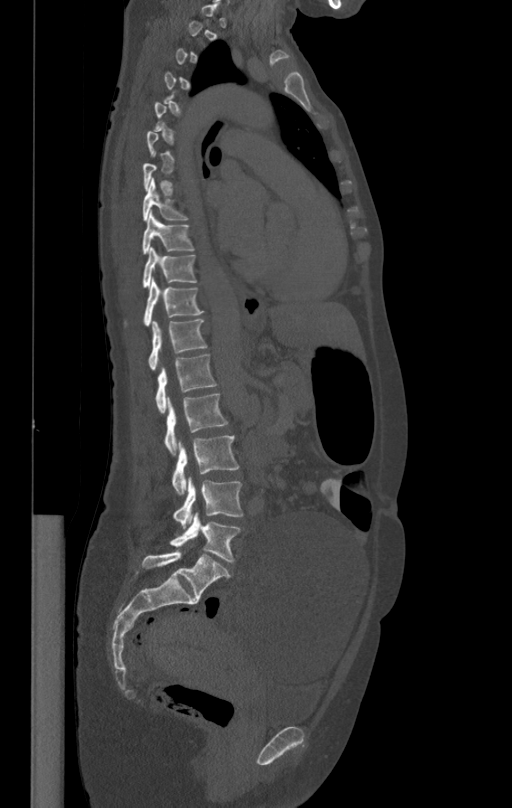
CT · sagittal view · 512x808 px
Boxes below are [x1, y1, x2, y2] in pixels.
Not every vertebra on this slice has a box: a vertebra is boxed only from the first to the last slice where its cross-section is at least a third of its largest, and this slice is outside that range for at least one of them.
{"vertebrae":{"T8":[143,181,188,220],"T9":[143,213,194,253],"T10":[143,248,196,288],"T11":[143,278,204,326],"T12":[148,319,206,369],"L1":[155,353,216,413],"L2":[164,394,228,455],"L3":[171,435,239,494],"L4":[173,476,242,528],"L5":[169,512,240,562]}}